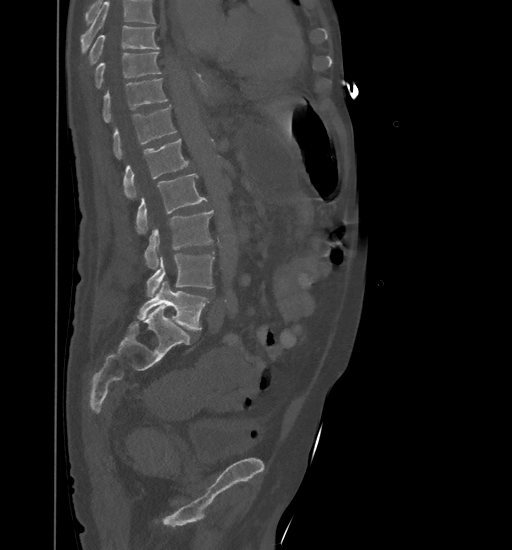 Computed tomography of the spine — sagittal view — W/L 1800/400 HU
Where the top of the scan cuts through a vertebra, that vertebra gets no label or box.
<vertebrae><v name="T9" x1="90" y1="26" x2="159" y2="64"/><v name="T10" x1="95" y1="52" x2="161" y2="88"/><v name="T11" x1="103" y1="78" x2="168" y2="122"/><v name="T12" x1="113" y1="106" x2="177" y2="159"/><v name="L1" x1="123" y1="138" x2="189" y2="199"/><v name="L2" x1="136" y1="173" x2="206" y2="234"/><v name="L3" x1="145" y1="210" x2="213" y2="268"/><v name="L4" x1="146" y1="253" x2="214" y2="296"/><v name="L5" x1="137" y1="281" x2="209" y2="330"/></vertebrae>